CT spine; sagittal view; Bone window (WL 400, WW 1800); 8 vertebrae labeled in this scan
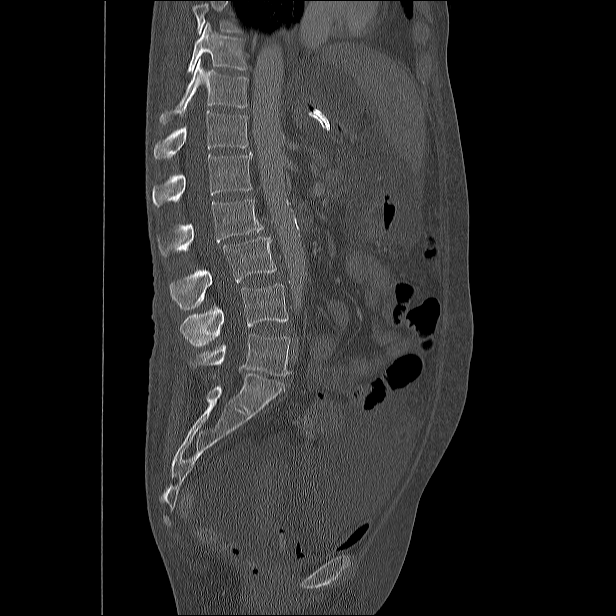 Boxes: x1:y1:x2:y2 in pixels.
Vertebrae that run past the top of the scan are left unlabeled.
L5: 190:334:290:376
L4: 180:284:288:347
L3: 170:236:276:308
L2: 157:199:263:256
L1: 152:152:252:206
T12: 153:110:247:159
T11: 160:60:248:124
T10: 186:23:247:73